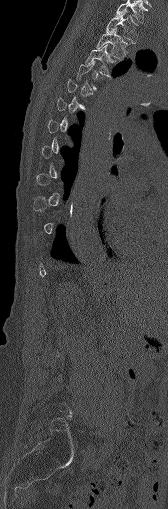

Computed tomography of the spine; sagittal view; bone window; 168 mm wide
Each box given as x1,y1,x2,y2.
A vertebra is boxed only from the first to the last slice where its cross-section is at least a third of its largest; slices outside that range leave it without a box.
C7: x1=116, y1=0, x2=146, y2=23
T1: x1=105, y1=11, x2=138, y2=42
T2: x1=96, y1=28, x2=128, y2=59
T3: x1=86, y1=44, x2=118, y2=76